CT spine — sagittal plane, index 278 — 512x919 px
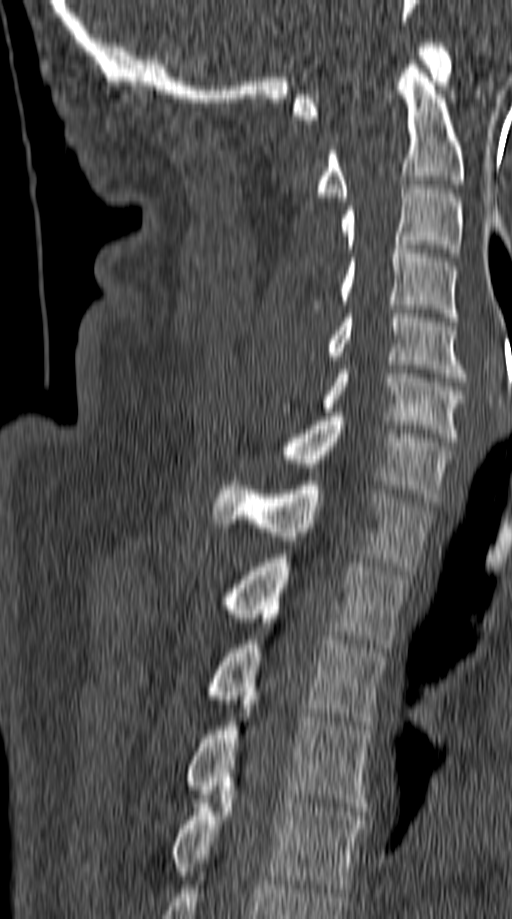
Box edges are left/top/right/bottom in pixels.
| vertebra | x1 | y1 | x2 | y2 |
|---|---|---|---|---|
| T5 | 173 | 795 | 368 | 892 |
| T4 | 187 | 696 | 371 | 811 |
| T3 | 210 | 640 | 385 | 729 |
| T2 | 225 | 554 | 409 | 652 |
| T1 | 214 | 481 | 433 | 570 |
| C7 | 237 | 412 | 452 | 502 |
| C6 | 280 | 365 | 464 | 441 |
| C5 | 328 | 314 | 466 | 381 |
| C4 | 312 | 245 | 457 | 321 |
| C3 | 341 | 185 | 461 | 257 |
| C2 | 317 | 64 | 464 | 201 |
| C1 | 293 | 43 | 452 | 119 |